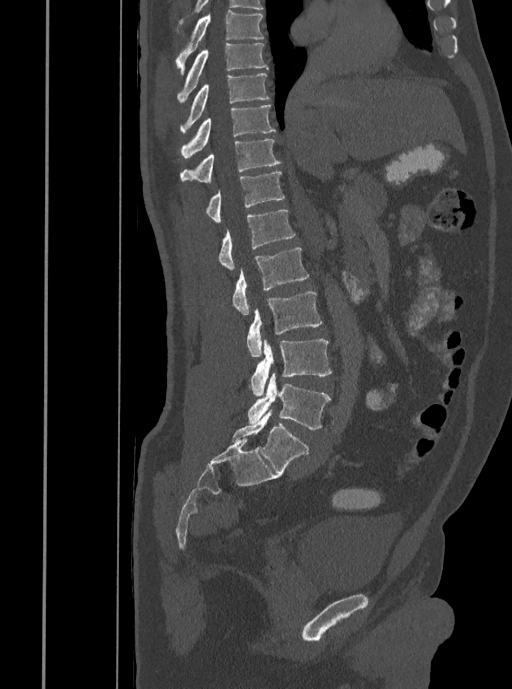

Computed tomography of the spine — sagittal view — bone window — image 408 mm wide

Boxes: x1 y1 x2 y2 (pixel coords, space-separated). Vertebrae labeled: T7 at 176 10 264 74, T8 at 178 43 267 102, T9 at 181 73 269 132, T10 at 181 104 275 158, T11 at 181 139 281 182, T12 at 206 171 285 221, L1 at 218 210 295 270, L2 at 232 247 309 315, L3 at 247 291 321 357, L4 at 249 339 331 395, L5 at 247 373 330 429.